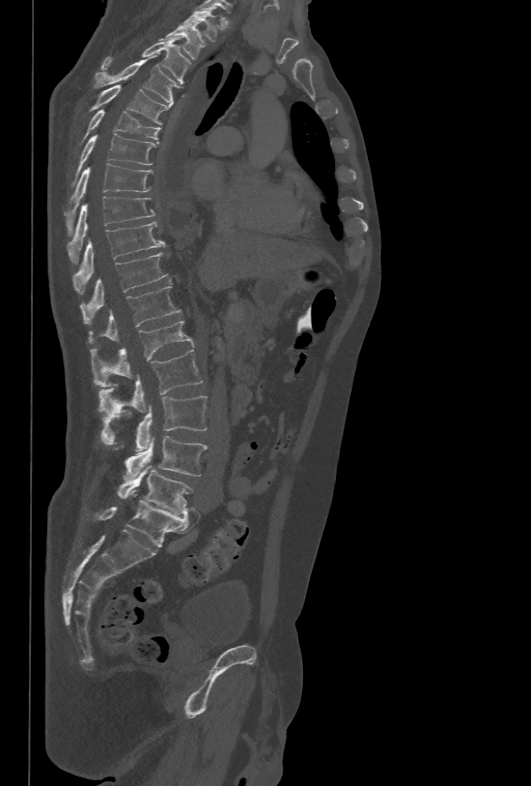
Spine CT. sagittal view. bone window. the image is 478 mm wide
Boxes: x1 y1 x2 y2 (pixel coords, space-separated).
Vertebra bounding boxes:
- L5: 118 465 192 514
- L4: 123 436 206 479
- L3: 101 396 206 451
- L2: 99 349 202 414
- L1: 90 320 193 386
- T12: 89 286 182 343
- T11: 80 252 169 325
- T10: 74 222 165 293
- T9: 67 196 155 264
- T8: 65 163 153 235
- T7: 73 133 156 184
- T6: 82 109 160 141
- T5: 89 85 168 124
- T4: 93 55 178 104
- T3: 101 36 190 83
- T2: 161 24 205 58
- T1: 184 10 219 41